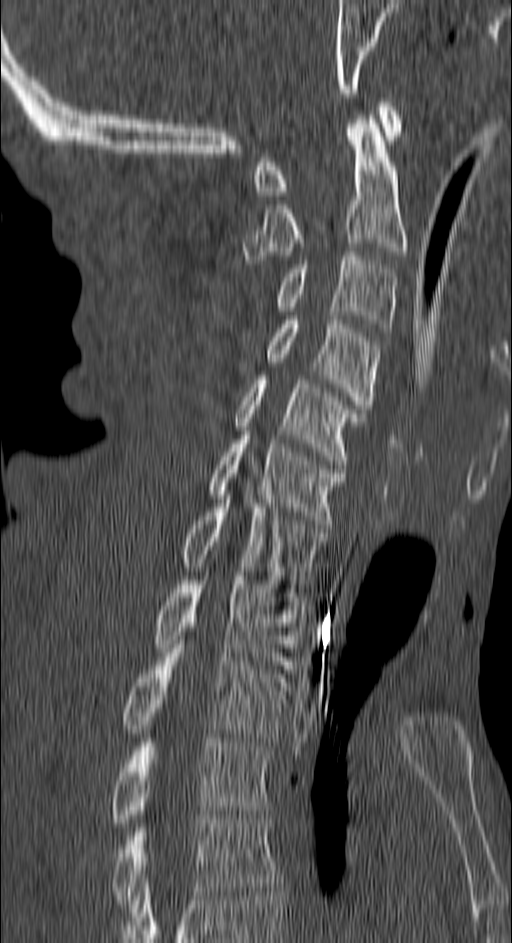 Spine computed tomography · 150 mm wide · sagittal reformat · Bone window (WL 400, WW 1800) · 512x943 px
<vertebrae><v name="C1" x1="254" y1="98" x2="400" y2="195"/><v name="C2" x1="243" y1="115" x2="406" y2="264"/><v name="C3" x1="278" y1="252" x2="396" y2="332"/><v name="C4" x1="267" y1="316" x2="379" y2="413"/><v name="C5" x1="233" y1="375" x2="364" y2="464"/><v name="C6" x1="209" y1="435" x2="345" y2="524"/><v name="C7" x1="182" y1="499" x2="324" y2="588"/><v name="T1" x1="155" y1="576" x2="303" y2="669"/><v name="T2" x1="121" y1="644" x2="288" y2="741"/><v name="T3" x1="110" y1="738" x2="270" y2="827"/><v name="T4" x1="110" y1="815" x2="280" y2="908"/></vertebrae>